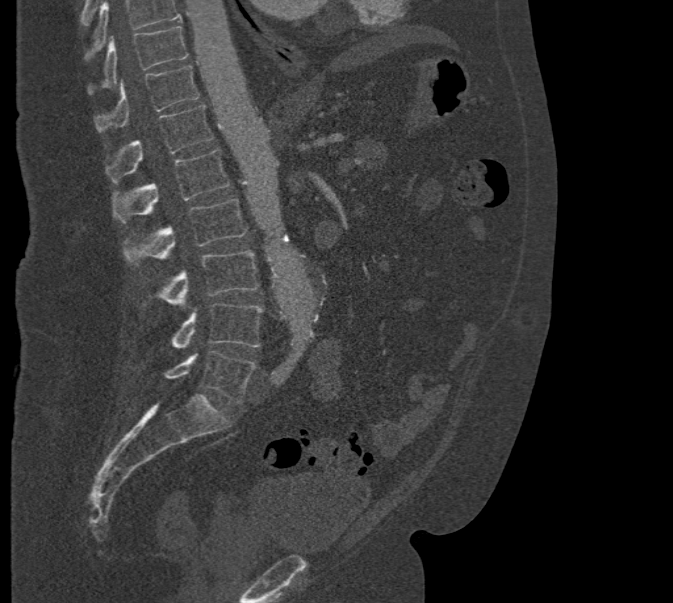

Computed tomography of the spine; sagittal view; Bone window (WL 400, WW 1800)

Each box given as x1,y1,x2,y2.
Vertebrae that run past the top of the scan are left unlabeled.
Vertebra bounding boxes:
- T10: x1=88, y1=26, x2=187, y2=94
- T11: x1=95, y1=65, x2=199, y2=132
- T12: x1=105, y1=105, x2=213, y2=182
- L1: x1=112, y1=149, x2=230, y2=222
- L2: x1=122, y1=199, x2=246, y2=265
- L3: x1=143, y1=250, x2=259, y2=307
- L4: x1=171, y1=303, x2=262, y2=348
- L5: x1=164, y1=350, x2=255, y2=404